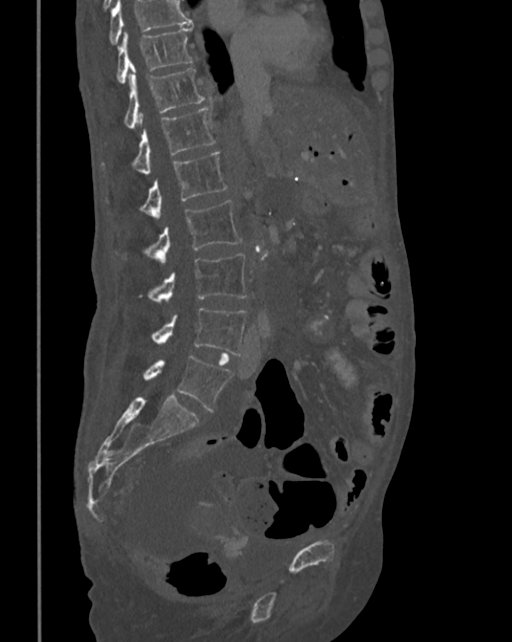

CT spine; sagittal view; Bone window (WL 400, WW 1800)
Vertebrae that run past the top of the scan are left unlabeled.
<vertebrae><v name="T10" x1="117" y1="26" x2="194" y2="83"/><v name="T11" x1="124" y1="68" x2="204" y2="128"/><v name="T12" x1="131" y1="107" x2="216" y2="175"/><v name="L1" x1="140" y1="152" x2="226" y2="219"/><v name="L2" x1="145" y1="199" x2="241" y2="263"/><v name="L3" x1="148" y1="254" x2="247" y2="302"/><v name="L4" x1="151" y1="307" x2="247" y2="354"/><v name="L5" x1="143" y1="355" x2="232" y2="411"/></vertebrae>